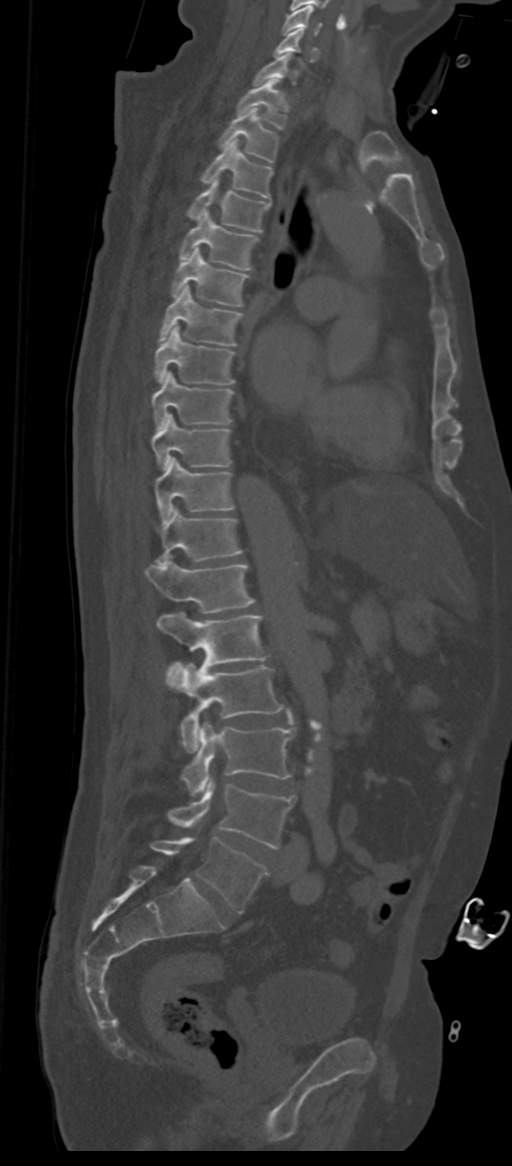 Spine CT — sagittal view — 311 mm across the image — Bone window (WL 400, WW 1800)
Boxes below are [x1, y1, x2, y2] in pixels.
The labels name a sixth lumbar vertebra for this spine: L6, after L5.
{"vertebrae":{"L6":[150,837,268,913],"L5":[168,776,294,849],"L4":[181,720,292,796],"L3":[167,662,284,752],"L2":[157,611,266,676],"L1":[145,560,255,614],"T12":[157,506,241,564],"T11":[155,457,233,523],"T10":[152,412,231,470],"T9":[152,371,233,429],"T8":[155,323,235,385],"T7":[158,284,243,345],"T6":[172,247,248,306],"T5":[178,211,258,269],"T4":[186,178,271,232],"T3":[201,139,273,197],"T2":[218,109,279,162],"T1":[236,79,289,129],"C7":[254,53,299,85],"C6":[274,30,318,60],"C5":[282,5,322,36]}}